CT, spine. sagittal view. 140 mm wide. 512x827 px
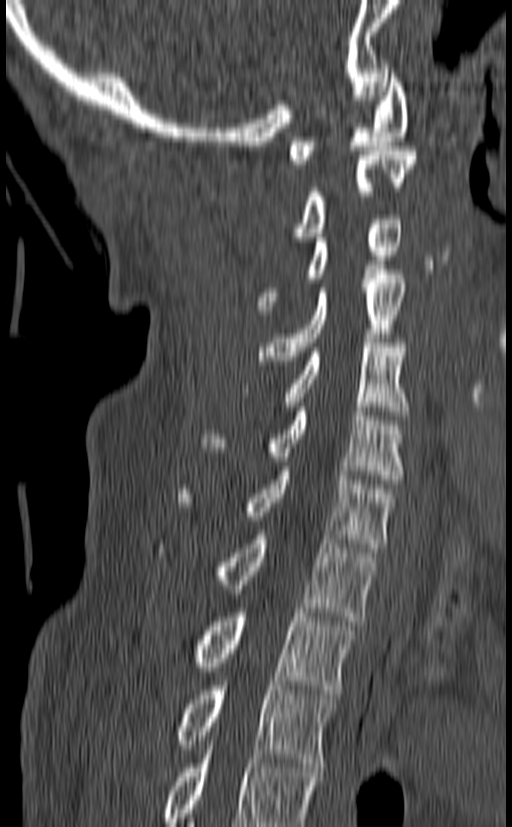 Box edges are left/top/right/bottom in pixels.
The highest labeled vertebra in this scan is C1; the lowest is T3.
Vertebra bounding boxes:
- C1: left=288, top=69, right=408, bottom=164
- C2: left=290, top=146, right=416, bottom=241
- C3: left=256, top=215, right=402, bottom=314
- C4: left=258, top=270, right=405, bottom=360
- C5: left=283, top=338, right=409, bottom=415
- C6: left=200, top=407, right=403, bottom=484
- C7: left=180, top=466, right=395, bottom=552
- T1: left=154, top=530, right=377, bottom=621
- T2: left=192, top=613, right=356, bottom=694
- T3: left=173, top=681, right=337, bottom=767